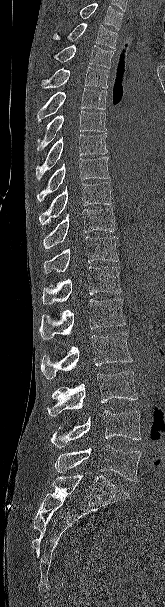
CT spine · sagittal view · 165x607 px
Each row gives a vertebra's box as x1, y1, x2, y2 in pixels: top-left corner, then bottom-right corner.
Vertebrae that run past the top of the scan are left unlabeled.
| vertebra | x1 | y1 | x2 | y2 |
|---|---|---|---|---|
| T2 | 52 | 23 | 117 | 48 |
| T3 | 54 | 45 | 114 | 68 |
| T4 | 41 | 66 | 109 | 88 |
| T5 | 37 | 88 | 107 | 121 |
| T6 | 37 | 111 | 106 | 152 |
| T7 | 36 | 133 | 107 | 180 |
| T8 | 37 | 157 | 109 | 202 |
| T9 | 39 | 181 | 112 | 225 |
| T10 | 42 | 208 | 116 | 249 |
| T11 | 43 | 236 | 118 | 273 |
| T12 | 42 | 266 | 121 | 304 |
| L1 | 39 | 299 | 126 | 339 |
| L2 | 41 | 332 | 132 | 379 |
| L3 | 47 | 371 | 137 | 416 |
| L4 | 51 | 410 | 141 | 448 |
| L5 | 55 | 445 | 141 | 481 |